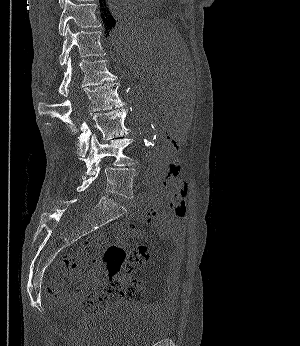 Spine computed tomography; sagittal view; W/L 1800/400 HU; 300x346 px
<vertebrae><v name="T11" x1="58" y1="0" x2="100" y2="35"/><v name="T12" x1="59" y1="24" x2="105" y2="66"/><v name="L1" x1="39" y1="57" x2="115" y2="96"/><v name="L2" x1="38" y1="82" x2="124" y2="133"/><v name="L3" x1="77" y1="108" x2="130" y2="156"/><v name="L4" x1="78" y1="133" x2="137" y2="175"/><v name="L5" x1="77" y1="166" x2="138" y2="198"/></vertebrae>